Spine computed tomography. sagittal plane, index 51. W/L 1800/400 HU. 154x295 px. 154 mm wide. 5 vertebrae labeled in this scan
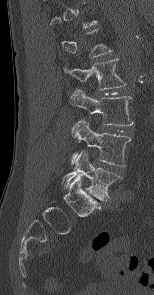
Boxes: x1:y1:x2:y2 in pixels.
Not every vertebra on this slice has a box: a vertebra is boxed only from the first to the last slice where its cross-section is at least a third of its largest, and this slice is outside that range for at least one of them.
L2: 63:58:126:89
L3: 70:89:133:125
L4: 71:118:131:166
L5: 62:151:122:201